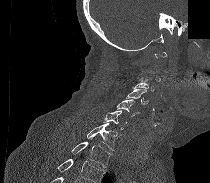 CT · sagittal view · 210x183 px · some of the image was removed or blocked out with constant pixels
Bounding boxes as [x1, y1, x2, y2] in pixel coordinates. A vertebra is boxed only from the first to the last slice where its cross-section is at least a third of its largest; slices outside that range leave it without a box. A vertebra cut off by the bottom edge of the scan is not labeled and has no box. 6 vertebrae labeled — C3 at [136, 71, 154, 91]; C4 at [126, 87, 149, 104]; C5 at [116, 99, 140, 116]; C6 at [102, 110, 126, 129]; C7 at [87, 123, 118, 150]; T1 at [71, 142, 112, 167].